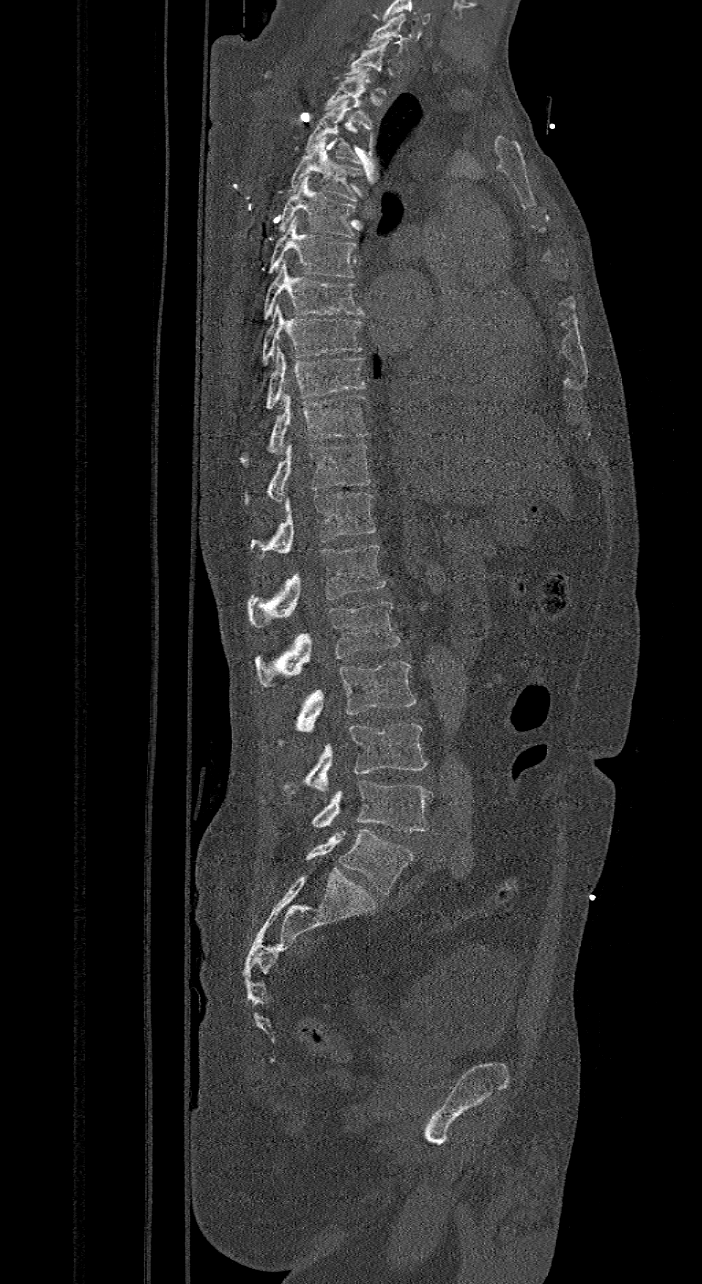

CT — sagittal view

Boxes: x1 y1 x2 y2 (pixel coords, space-separated). The labels name a sixth lumbar vertebra for this spine: L6, after L5. 19 vertebrae labeled — C7 at 366 13 406 48; T1 at 345 39 391 94; T2 at 325 68 375 129; T3 at 307 99 359 163; T4 at 288 136 361 201; T5 at 278 175 355 238; T6 at 266 216 357 277; T7 at 263 260 364 319; T8 at 262 303 362 365; T9 at 264 347 366 409; T10 at 238 390 369 467; T11 at 243 443 370 504; T12 at 249 492 376 559; L1 at 247 545 385 627; L2 at 254 600 399 687; L3 at 278 661 416 745; L4 at 281 723 427 793; L5 at 311 779 432 832; L6 at 306 829 414 893.